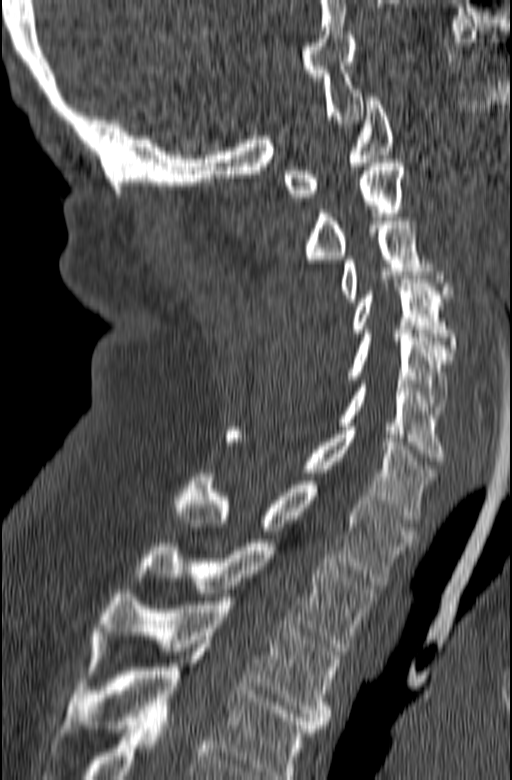 CT; sagittal view
In this scan, the topmost labeled vertebra is C1 and the lowest is T3.
<vertebrae><v name="C1" x1="283" y1="97" x2="394" y2="197"/><v name="C2" x1="305" y1="159" x2="403" y2="259"/><v name="C3" x1="342" y1="217" x2="451" y2="302"/><v name="C4" x1="352" y1="279" x2="456" y2="356"/><v name="C5" x1="349" y1="334" x2="453" y2="418"/><v name="C6" x1="339" y1="380" x2="444" y2="461"/><v name="C7" x1="228" y1="427" x2="436" y2="523"/><v name="T1" x1="175" y1="473" x2="416" y2="585"/><v name="T2" x1="136" y1="539" x2="378" y2="651"/><v name="T3" x1="86" y1="590" x2="340" y2="728"/></vertebrae>